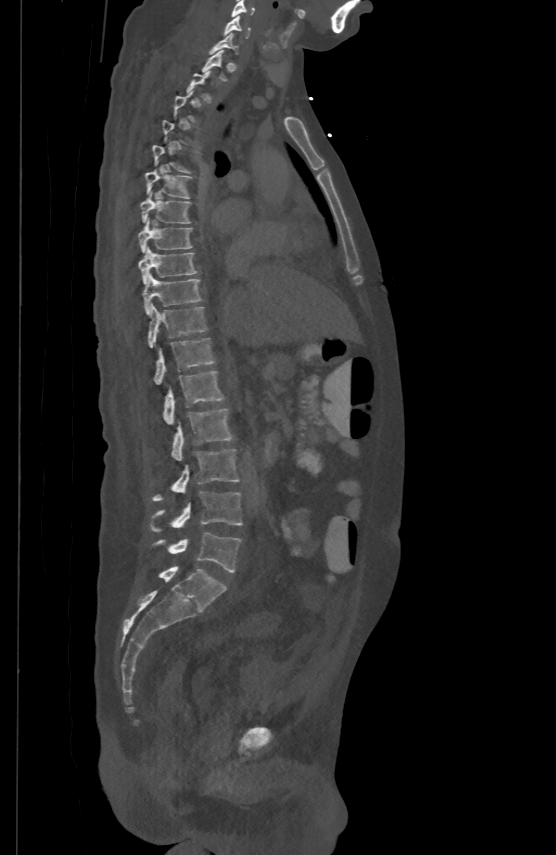

Computed tomography of the spine; 500 mm image width; sagittal view
Bounding boxes as [x1, y1, x2, y2] in pixel coordinates.
A vertebra is boxed only from the first to the last slice where its cross-section is at least a third of its largest; slices outside that range leave it without a box.
C5: [231, 0, 255, 16]
C6: [224, 15, 250, 36]
C7: [208, 32, 238, 53]
T1: [202, 49, 227, 80]
T6: [145, 169, 192, 198]
T7: [140, 191, 191, 222]
T8: [138, 217, 192, 251]
T9: [139, 245, 196, 283]
T10: [143, 273, 201, 313]
T11: [148, 305, 206, 348]
T12: [153, 336, 215, 383]
L1: [164, 370, 224, 423]
L2: [171, 407, 231, 460]
L3: [151, 448, 239, 501]
L4: [150, 491, 242, 532]
L5: [152, 532, 241, 572]